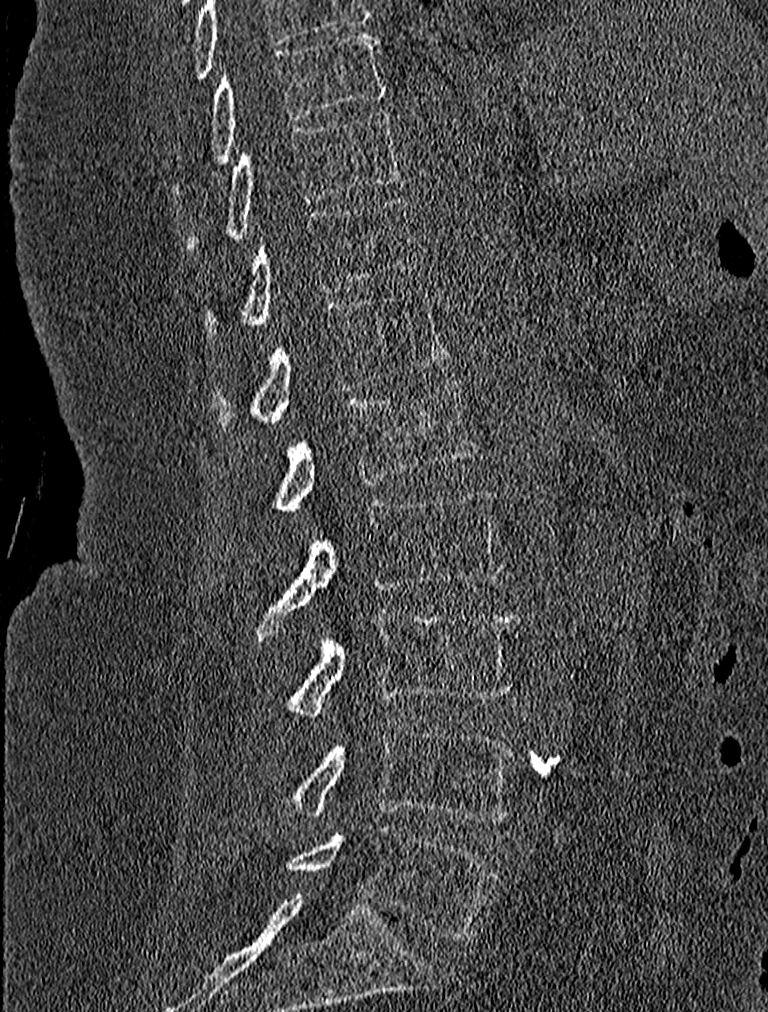

CT. the image is 227 mm wide. sagittal reformat
Each vertebra maps to its box as [x1, y1, x2, y2], the pixel coordinates of its top-left and bottom-right corners.
{"vertebrae":{"T9":[209,33,387,162],"T10":[188,108,400,250],"T11":[202,196,421,331],"T12":[215,288,448,425],"L1":[276,379,478,512],"L2":[256,487,502,634],"L3":[286,607,519,718],"L4":[283,719,514,823],"L5":[286,827,499,941]}}